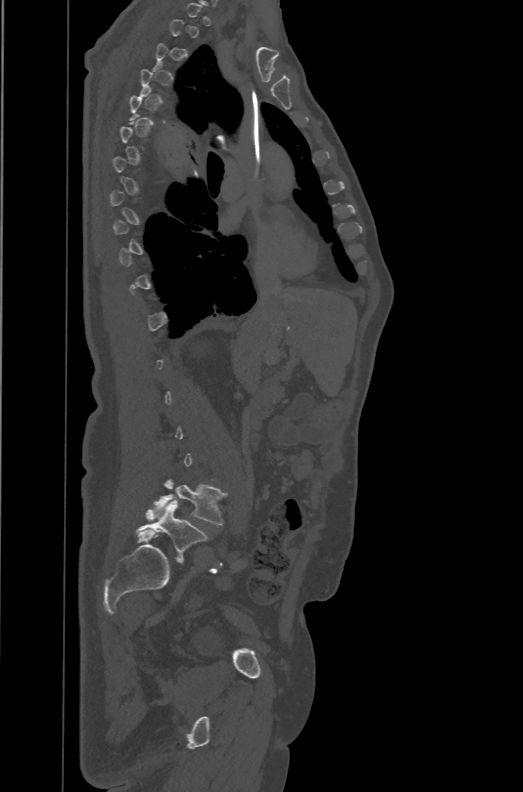
Spine computed tomography — 471 mm image width — sagittal view — Bone window (WL 400, WW 1800)
Bounding boxes as [x1, y1, x2, y2] in pixel coordinates.
A vertebra is boxed only from the first to the last slice where its cross-section is at least a third of its largest; slices outside that range leave it without a box.
The labels name a sixth lumbar vertebra for this spine: L6, after L5.
Vertebra bounding boxes:
- L5: [153, 480, 227, 524]
- L6: [136, 500, 208, 560]